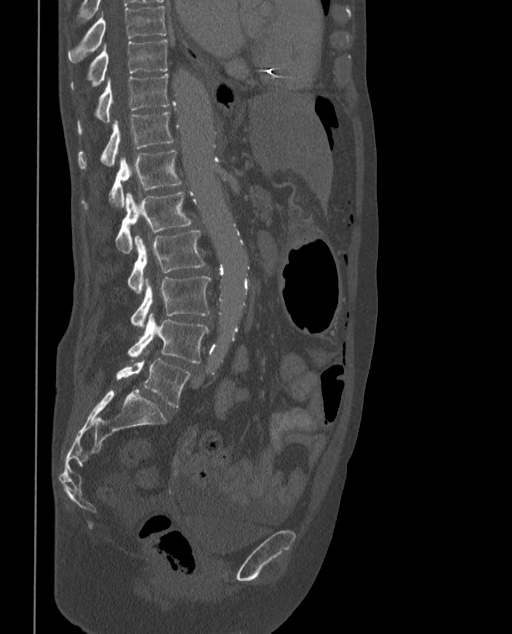
Spine CT. sagittal reformat

Each box given as x1,y1,x2,y2.
The labels name a sixth lumbar vertebra for this spine: L6, after L5.
L6: x1=116, y1=358, x2=191, y2=408
L5: x1=127, y1=313, x2=209, y2=362
L4: x1=130, y1=275, x2=210, y2=326
L3: x1=127, y1=230, x2=205, y2=293
L2: x1=115, y1=191, x2=192, y2=253
L1: x1=81, y1=151, x2=181, y2=210
T12: x1=78, y1=112, x2=173, y2=169
T11: x1=77, y1=74, x2=170, y2=135
T10: x1=70, y1=40, x2=168, y2=89
T9: x1=67, y1=5, x2=169, y2=63